CT. image width 432 mm. sagittal plane, index 286. 17 vertebrae labeled in this scan
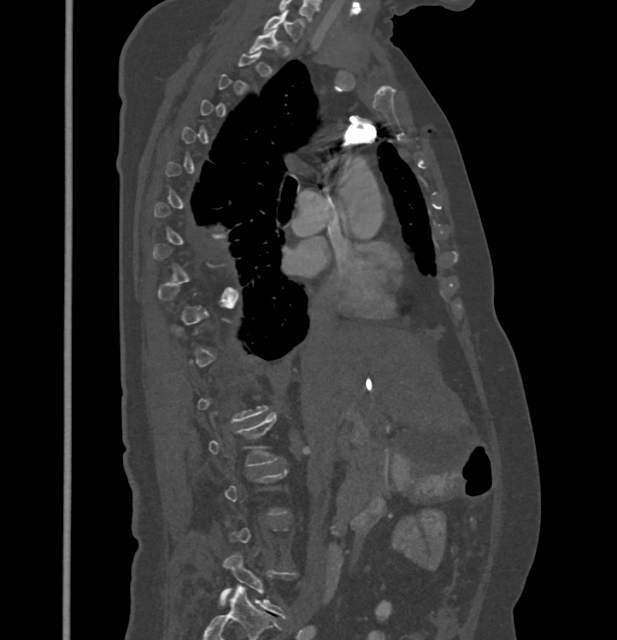

Boxes: x1 y1 x2 y2 (pixel coords, space-separated).
A vertebra gets a box only on the slices from the first to the last where its cross-section is at least a third of its largest; on a slice outside that range it gets none.
Vertebra bounding boxes:
- C7: 264 10 303 41
- L5: 219 552 296 618